Spine CT · sagittal view
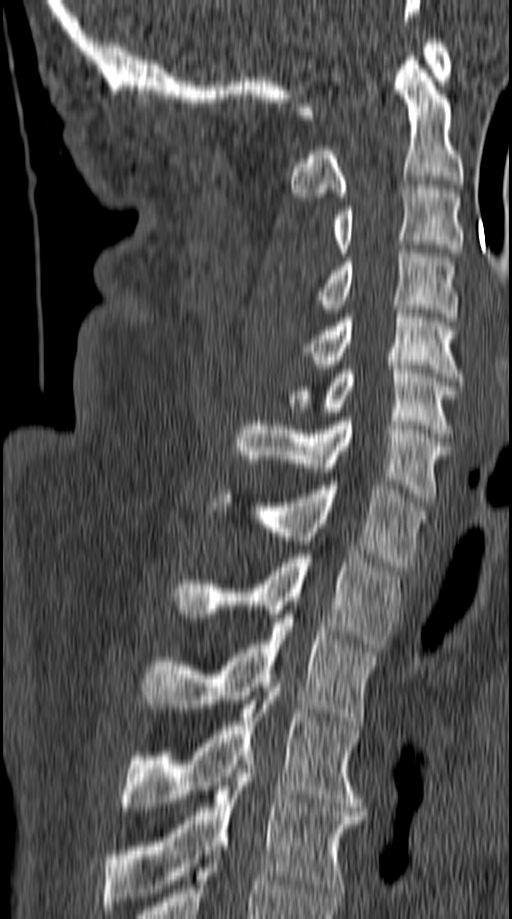
Box values are [left, top, right, bottom] in pixels.
{"vertebrae":{"C1":[297,39,451,119],"C2":[291,56,464,201],"C3":[331,185,464,257],"C4":[315,249,457,321],"C5":[304,305,465,381],"C6":[286,365,460,437],"C7":[235,417,450,502],"T1":[211,481,426,570],"T2":[173,554,399,652],"T3":[142,614,378,725],"T4":[121,692,361,811],"T5":[104,760,363,910]}}